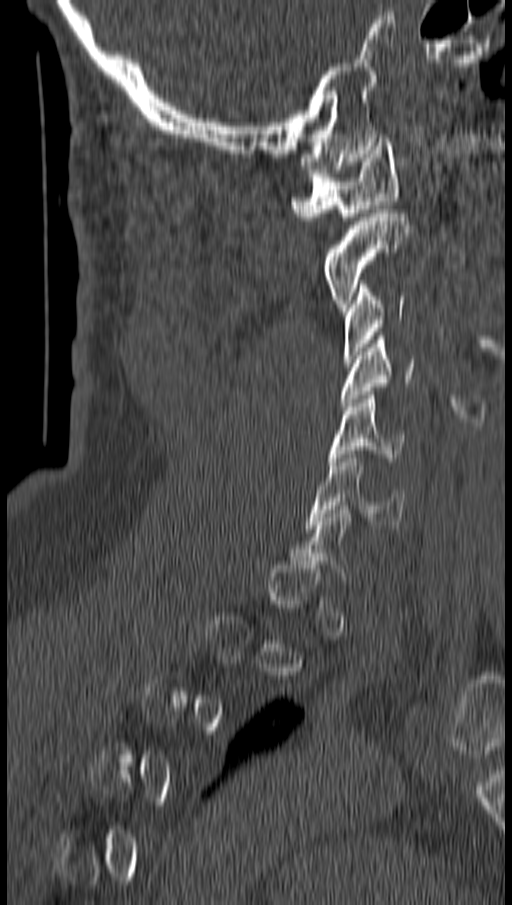

CT. sagittal view. bone-window reconstruction. 512x905 px

Boxes are (x1, y1, x2, y2) in pixels.
A vertebra gets a box only on the slices from the first to the last where its cross-section is at least a third of its largest; on a slice outside that range it gets none.
C6: (308, 454, 406, 528)
C5: (330, 391, 406, 465)
C4: (342, 336, 414, 406)
C3: (342, 280, 405, 362)
C2: (323, 209, 408, 311)
C1: (289, 138, 398, 220)